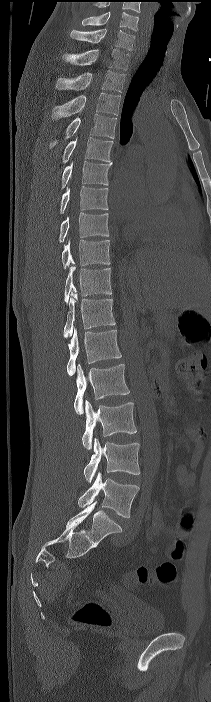 CT spine; sagittal view; Bone window (WL 400, WW 1800); 211x702 px

Boxes: x1 y1 x2 y2 (pixel coords, space-separated). In this scan, the topmost labeled vertebra is C7 and the lowest is L4. 17 vertebrae labeled — C7 at 70 28 134 50; T1 at 62 49 130 70; T2 at 55 70 126 92; T3 at 52 92 120 119; T4 at 49 114 116 148; T5 at 62 136 113 162; T6 at 61 161 112 189; T7 at 60 186 108 213; T8 at 58 212 109 242; T9 at 62 239 110 268; T10 at 64 265 111 304; T11 at 63 292 115 338; T12 at 67 327 121 375; L1 at 74 363 129 414; L2 at 82 400 136 449; L3 at 83 438 140 483; L4 at 78 471 139 517.